CT · sagittal view · 409 mm across the image · 512x700 px
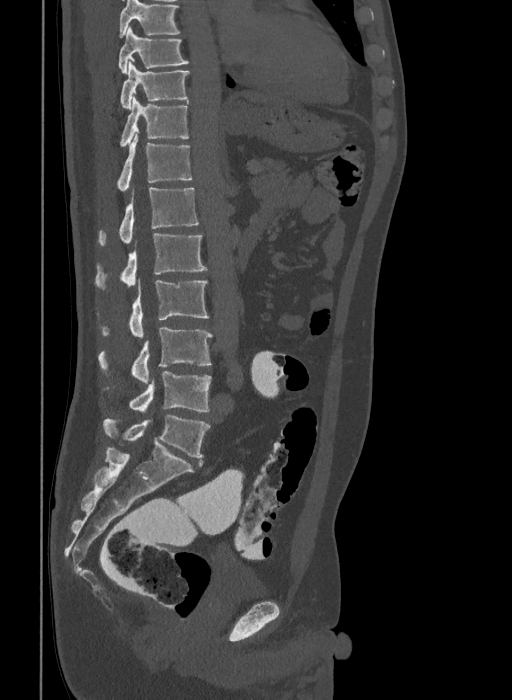 Each box given as x1,y1,x2,y2.
This scan's labels start at T9 at the top and end at L6 at the bottom.
These labels give the spine a sixth lumbar vertebra, L6, below L5.
Vertebra bounding boxes:
- L6: x1=104, y1=415, x2=209, y2=458
- L5: x1=129, y1=371, x2=212, y2=411
- L4: x1=99, y1=327, x2=212, y2=383
- L3: x1=103, y1=281, x2=209, y2=337
- L2: x1=95, y1=233, x2=207, y2=289
- L1: x1=99, y1=188, x2=198, y2=246
- T12: x1=118, y1=134, x2=192, y2=191
- T11: x1=120, y1=97, x2=188, y2=147
- T10: x1=120, y1=62, x2=189, y2=109
- T9: x1=119, y1=27, x2=189, y2=73